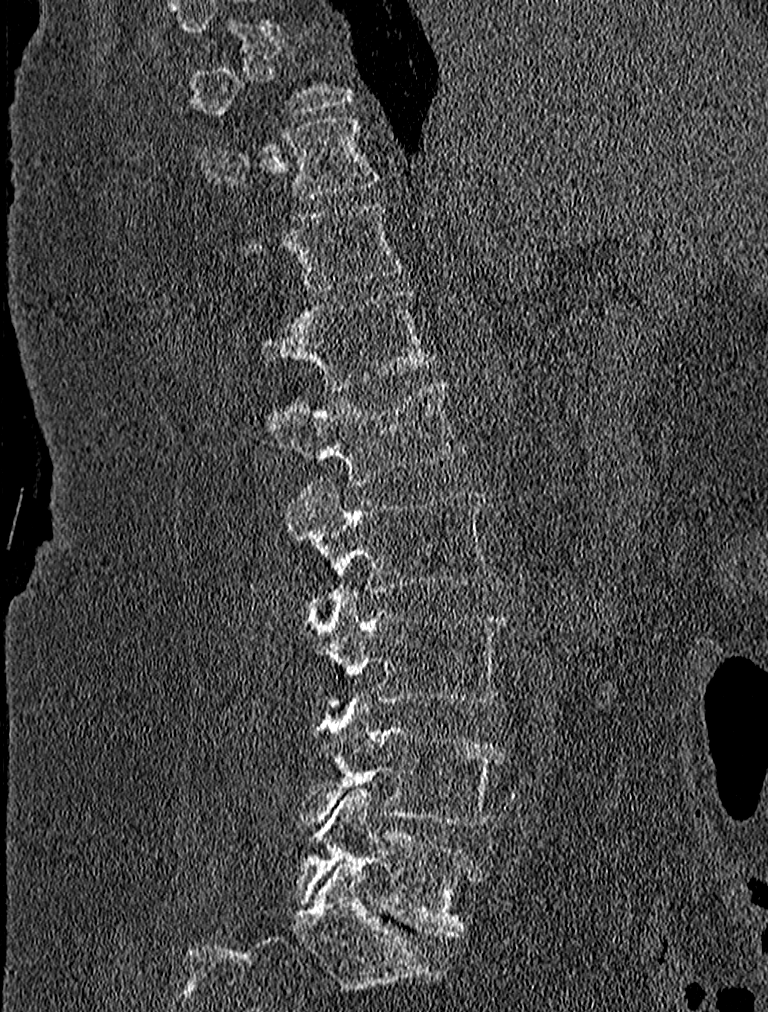
Computed tomography of the spine · 227 mm across the image · sagittal view · bone-window reconstruction
Boxes below are [x1, y1, x2, y2] in pixels.
Each vertebra is boxed only on the slices from the first to the last where its cross-section reaches a third of its largest, so a slice outside that range leaves it unboxed.
{"vertebrae":{"L5":[294,787,482,938],"L4":[295,696,505,826],"L3":[301,588,505,704],"L2":[283,481,495,593],"L1":[266,379,465,483],"T12":[260,288,438,389],"T11":[238,202,400,293],"T10":[202,116,380,198]}}